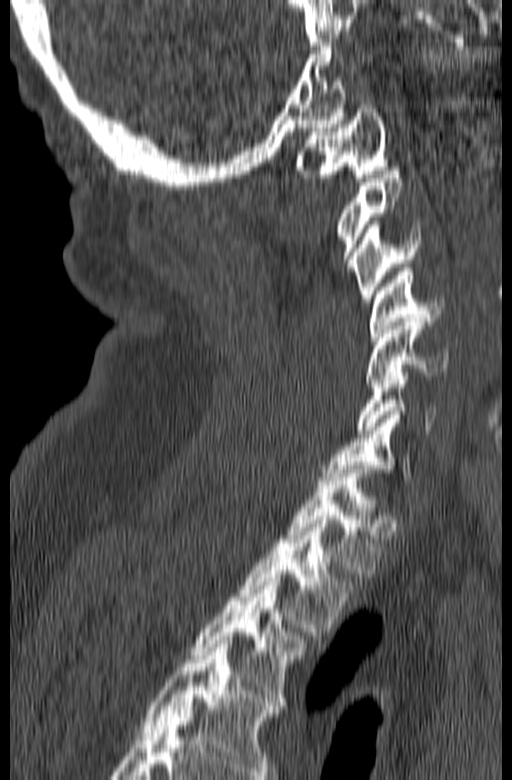
Spine computed tomography; sagittal view; W/L 1800/400 HU; 512x780 px
Boxes: x1 y1 x2 y2 (pixel coords, space-separated).
In this scan, the topmost labeled vertebra is C1 and the lowest is T3.
C1: 295 105 388 181
C2: 336 167 402 271
C3: 352 221 420 302
C4: 370 268 444 340
C5: 364 318 448 387
C6: 356 368 436 433
C7: 321 411 411 480
T1: 283 465 382 577
T2: 239 520 354 631
T3: 190 578 305 705